CT, spine; Sagittal slice 342/512; Bone window (WL 400, WW 1800); scan covers 10 annotated vertebrae
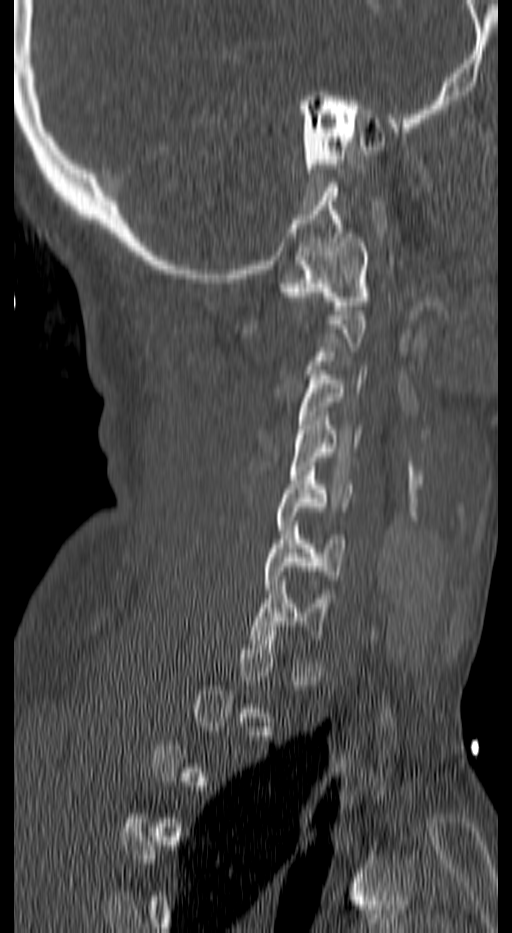 Each box is [x1, y1, x2, y2] in pixels: top-left corner, then bottom-right corner.
Each vertebra is boxed only on the slices from the first to the last where its cross-section reaches a third of its largest, so a slice outside that range leaves it unboxed.
{"vertebrae":{"C7":[250,581,326,644],"C6":[265,521,344,593],"C5":[276,466,353,534],"C4":[290,411,362,479],"C3":[297,370,366,438],"C1":[283,233,366,314]}}